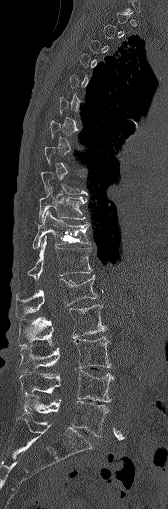

CT spine; sagittal view; bone window
Each vertebra maps to its box as [x1, y1, x2, y2], the pixel coordinates of its top-left and bottom-right corners.
Not every vertebra on this slice has a box: a vertebra is boxed only from the first to the last slice where its cross-section is at least a third of its largest, and this slice is outside that range for at least one of them.
{"vertebrae":{"L5":[22,394,109,436],"L4":[18,370,113,402],"L3":[19,336,111,370],"L2":[19,305,106,346],"L1":[15,274,96,316],"T12":[27,236,91,280],"T11":[32,211,90,248],"T10":[39,188,85,221]}}